Spine CT — Sagittal slice 63/115 — bone window — 7 vertebrae labeled in this scan
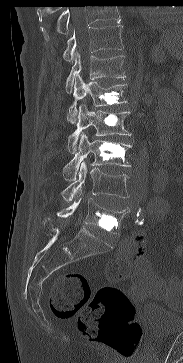 Boxes below are [x1, y1, x2, y2] in pixels.
Vertebrae that run past the top of the scan are left unlabeled.
{"vertebrae":{"T11":[63,24,123,61],"T12":[65,52,126,93],"L1":[67,74,127,124],"L2":[67,104,131,153],"L3":[63,133,131,180],"L4":[61,161,129,201],"L5":[56,191,129,235]}}